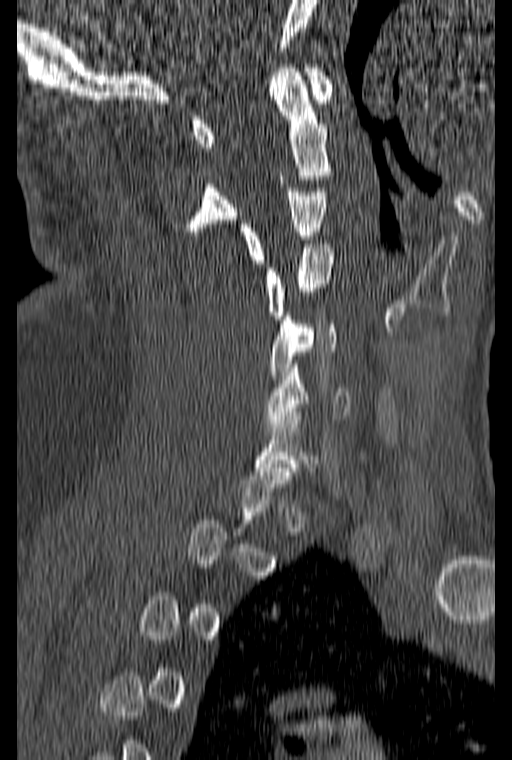

CT spine · sagittal reformat · W/L 1800/400 HU · 512x760 px
Boxes: x1 y1 x2 y2 (pixel coords, space-separated).
Each vertebra is boxed only on the slices from the first to the last where its cross-section reaches a third of its largest, so a slice outside that range leaves it unboxed.
C1: 191 64 333 147
C2: 186 64 333 235
C3: 240 188 327 263
C4: 264 244 333 319
C5: 270 312 336 379
C6: 264 360 350 427